Computed tomography of the spine. Sagittal slice 216/512. Bone window (WL 400, WW 1800). scan covers 7 annotated vertebrae
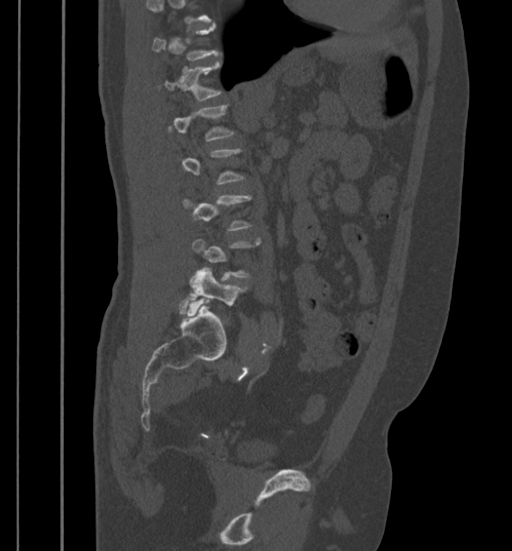 Boxes: x1:y1:x2:y2 in pixels. Not every vertebra on this slice has a box: a vertebra is boxed only from the first to the last slice where its cross-section is at least a third of its largest, and this slice is outside that range for at least one of them. The labeled vertebrae in this slice are: T12 at 164:62:221:100, L5 at 187:268:245:314.